CT, spine · Sagittal slice 253/512
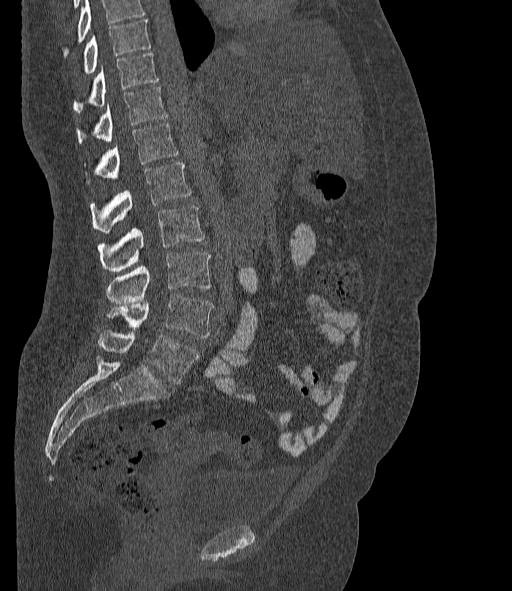

Bounding boxes as [x1, y1, x2, y2] in pixel coordinates.
No box is given to a vertebra that the top edge of the scan cuts off.
These labels give the spine a sixth lumbar vertebra, L6, below L5.
Vertebra bounding boxes:
- T10: [84, 19, 150, 74]
- T11: [73, 53, 158, 112]
- T12: [77, 87, 167, 143]
- L1: [95, 122, 178, 180]
- L2: [91, 163, 190, 233]
- L3: [98, 205, 204, 271]
- L4: [106, 253, 211, 303]
- L5: [107, 295, 213, 337]
- L6: [98, 330, 198, 383]